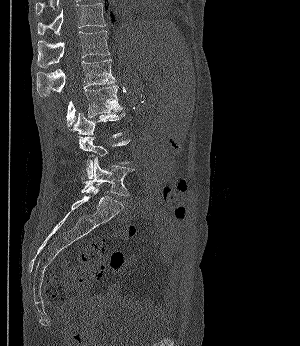 CT spine — sagittal view
A vertebra is boxed only from the first to the last slice where its cross-section is at least a third of its largest; slices outside that range leave it without a box.
<vertebrae><v name="L5" x1="81" y1="156" x2="134" y2="196"/><v name="L2" x1="66" y1="85" x2="123" y2="128"/><v name="L1" x1="37" y1="59" x2="115" y2="96"/><v name="T12" x1="37" y1="30" x2="110" y2="67"/><v name="T11" x1="37" y1="3" x2="105" y2="35"/></vertebrae>